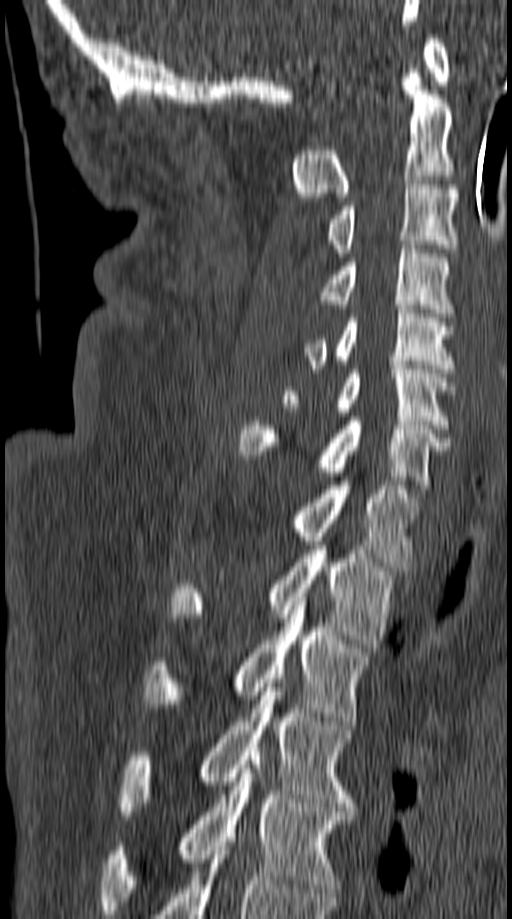

Spine CT — sagittal view — 512x919 px
Boxes below are [x1, y1, x2, y2] in pixels.
{"vertebrae":{"C1":[424,34,450,85],"C2":[290,69,454,201],"C3":[326,180,458,257],"C4":[321,245,454,317],"C5":[304,305,456,377],"C6":[283,365,454,429],"C7":[238,417,450,497],"T1":[286,481,419,570],"T2":[170,546,395,652],"T3":[142,597,371,721],"T4":[118,683,354,815],"T5":[101,760,352,914]}}